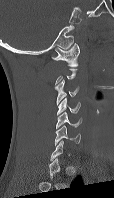

Spine CT — sagittal view — Bone window (WL 400, WW 1800) — 114 mm across the image
Not every vertebra on this slice has a box: a vertebra is boxed only from the first to the last slice where its cross-section is at least a third of its largest, and this slice is outside that range for at least one of them.
<vertebrae><v name="C6" x1="55" y1="125" x2="80" y2="145"/><v name="C5" x1="56" y1="111" x2="81" y2="128"/><v name="C4" x1="57" y1="96" x2="80" y2="115"/><v name="C3" x1="55" y1="79" x2="78" y2="105"/><v name="C1" x1="51" y1="43" x2="79" y2="66"/></vertebrae>